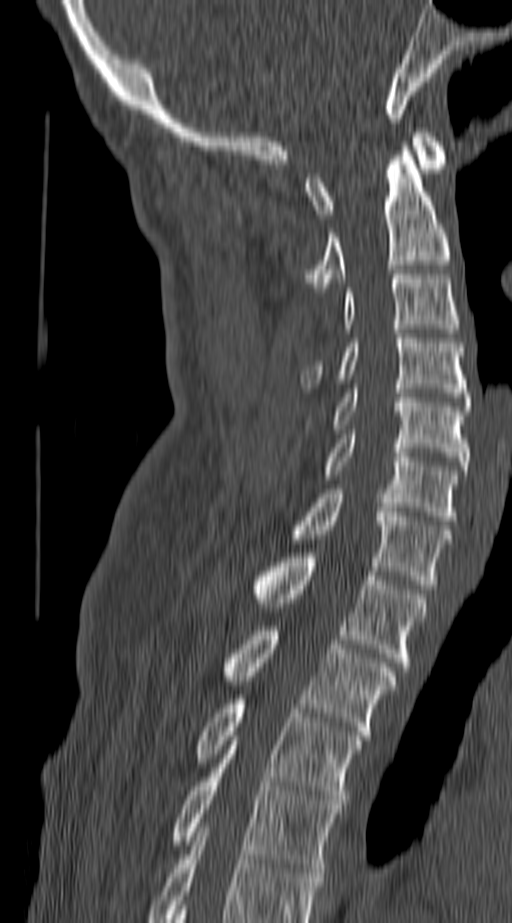
CT spine; sagittal reformat; image width 140 mm; Bone window (WL 400, WW 1800)

Boxes are (x1, y1, x2, y2) in pixels.
In this scan, the topmost labeled vertebra is C1 and the lowest is T4.
Vertebra bounding boxes:
- T4: (173, 741, 340, 872)
- T3: (195, 695, 362, 804)
- T2: (224, 626, 395, 735)
- T1: (254, 553, 425, 671)
- C7: (294, 489, 450, 589)
- C6: (323, 434, 457, 520)
- C5: (334, 389, 468, 470)
- C4: (305, 334, 468, 401)
- C3: (345, 274, 457, 333)
- C2: (305, 146, 450, 292)
- C1: (305, 128, 447, 218)